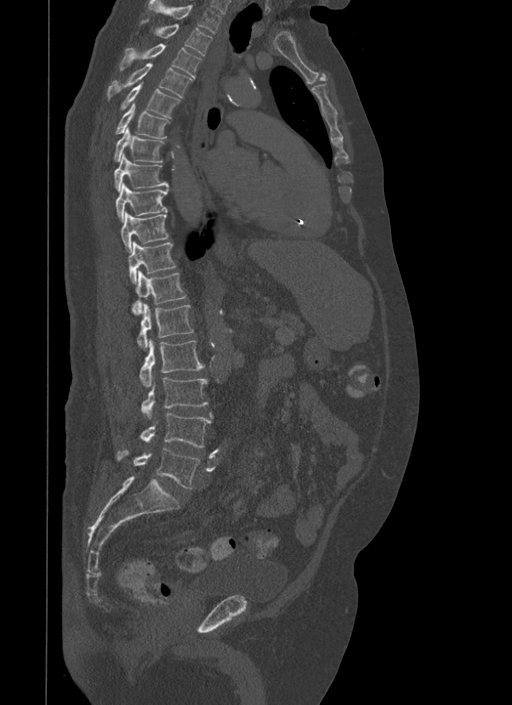 Computed tomography of the spine. sagittal view. W/L 1800/400 HU. 512x705 px
Box values are [left, top, right, bottom] in pixels.
{"vertebrae":{"L5":[116,447,200,488],"L4":[141,413,211,448],"L3":[142,377,208,418],"L2":[140,339,204,387],"L1":[138,303,193,348],"T12":[132,270,187,314],"T11":[127,241,175,283],"T10":[121,211,168,253],"T9":[115,183,168,221],"T8":[113,154,168,190],"T7":[113,127,163,163],"T6":[115,102,169,138],"T5":[120,82,180,118],"T4":[107,62,192,97],"T3":[120,43,201,79],"T2":[142,19,212,55],"T1":[147,0,221,34]}}